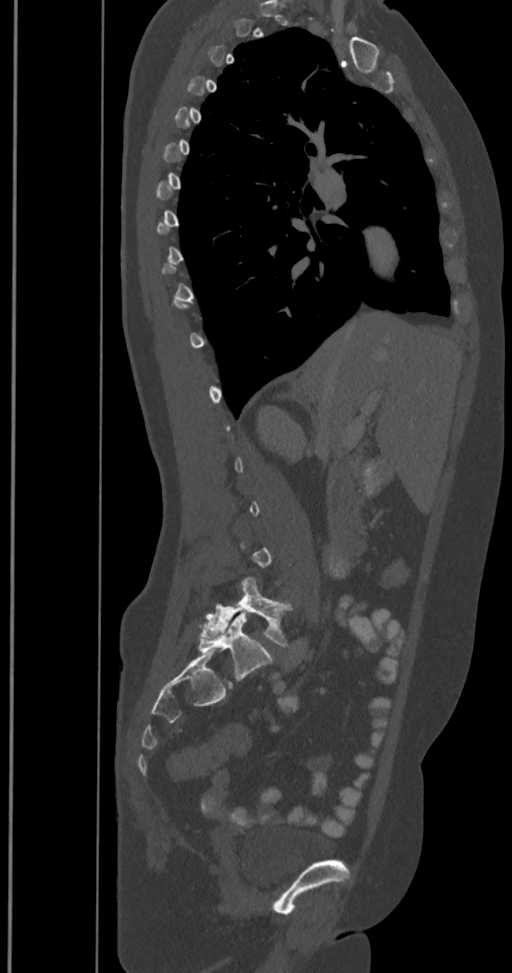
CT, spine — sagittal view — bone-window reconstruction — 512x973 px
Boxes below are [x1, y1, x2, y2] in pixels.
Not every vertebra on this slice has a box: a vertebra is boxed only from the first to the last slice where its cross-section is at least a third of its largest, and this slice is outside that range for at least one of them.
In these labels the spine has an L6, a sixth lumbar vertebra below L5.
{"vertebrae":{"L5":[201,577,291,647],"L6":[198,612,271,680]}}